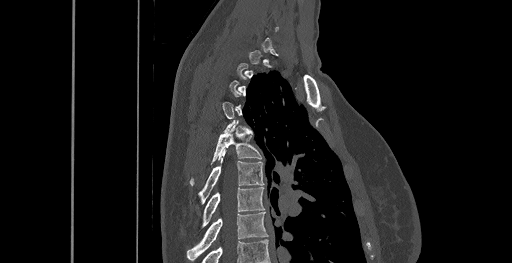 Computed tomography of the spine — sagittal reformat — 512x263 px
Box edges are left/top/right/bottom in pixels. A vertebra is boxed only from the first to the last slice where its cross-section is at least a third of its largest; slices outside that range leave it without a box. Vertebrae labeled: T5 at left=190, top=126, right=262, bottom=185, T6 at left=199, top=153, right=263, bottom=203, T7 at left=202, top=187, right=264, bottom=226, T8 at left=187, top=212, right=268, bottom=260.